Computed tomography of the spine — Sagittal slice 203/512 — Bone window (WL 400, WW 1800) — 512x933 px — a region of this slice is masked with a uniform fill
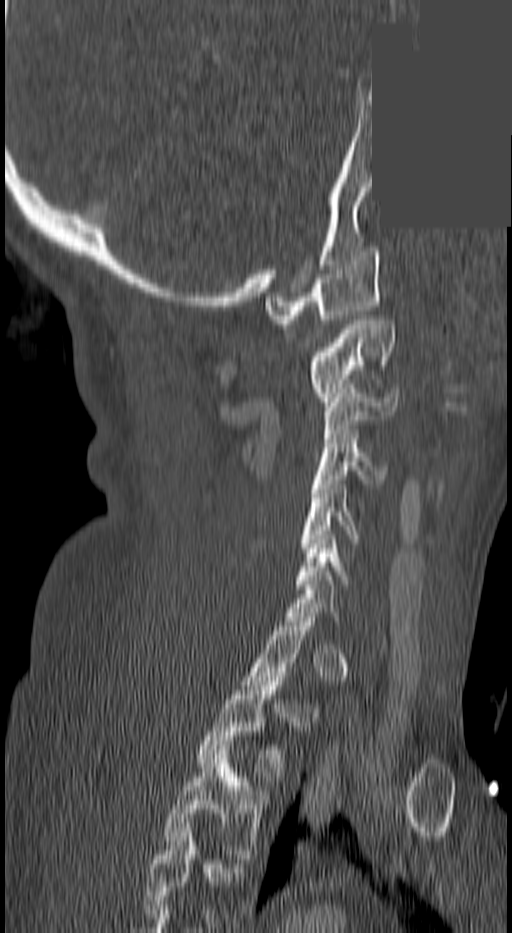 Each vertebra maps to its box as [x1, y1, x2, y2], the pixel coordinates of its top-left and bottom-right corners.
Not every vertebra on this slice has a box: a vertebra is boxed only from the first to the last slice where its cross-section is at least a third of its largest, and this slice is outside that range for at least one of them.
The highest labeled vertebra in this scan is C1; the lowest is T3.
{"vertebrae":{"T3":[162,745,271,858],"T2":[195,677,286,785],"C6":[294,535,348,589],"C5":[297,485,359,552],"C4":[312,434,384,488],"C3":[322,389,399,442],"C2":[306,315,395,401],"C1":[265,247,381,324]}}